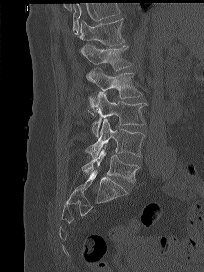

Spine computed tomography. sagittal view. Boxes: x1:y1:x2:y2 in pixels. Vertebrae that run past the top of the scan are left unlabeled. Vertebrae labeled: T12 at 79:18:124:45, L1 at 80:45:132:70, L2 at 86:68:142:114, L3 at 92:92:147:136, L4 at 85:119:145:159, L5 at 82:145:140:184.